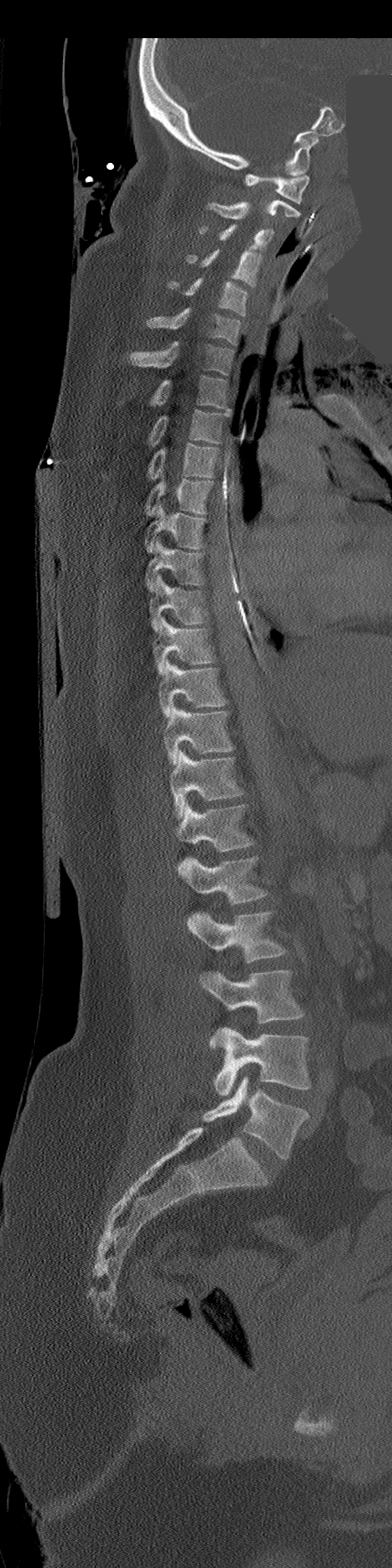 Spine CT · sagittal view · W/L 1800/400 HU · a uniform gray block covers part of the image

Boxes are given in columns x1, y1, x2, y2, the pixel coordinates of their top-left and bottom-right corners.
| vertebra | x1 | y1 | x2 | y2 |
|---|---|---|---|---|
| L5 | 202 | 1076 | 308 | 1158 |
| L4 | 214 | 1028 | 310 | 1096 |
| L3 | 201 | 969 | 304 | 1048 |
| L2 | 187 | 910 | 286 | 962 |
| L1 | 178 | 855 | 268 | 903 |
| T12 | 175 | 804 | 253 | 852 |
| T11 | 170 | 750 | 243 | 818 |
| T10 | 164 | 707 | 234 | 765 |
| T9 | 158 | 661 | 227 | 717 |
| T8 | 153 | 617 | 215 | 674 |
| T7 | 149 | 575 | 209 | 632 |
| T6 | 145 | 539 | 204 | 592 |
| T5 | 145 | 506 | 205 | 553 |
| T4 | 145 | 479 | 213 | 515 |
| T3 | 147 | 444 | 219 | 479 |
| T2 | 149 | 410 | 230 | 445 |
| T1 | 151 | 375 | 228 | 409 |
| C7 | 130 | 341 | 234 | 374 |
| C6 | 147 | 307 | 240 | 345 |
| C5 | 168 | 279 | 247 | 315 |
| C4 | 185 | 250 | 263 | 286 |
| C3 | 199 | 224 | 274 | 249 |
| C2 | 208 | 200 | 300 | 219 |
| C1 | 244 | 174 | 309 | 204 |